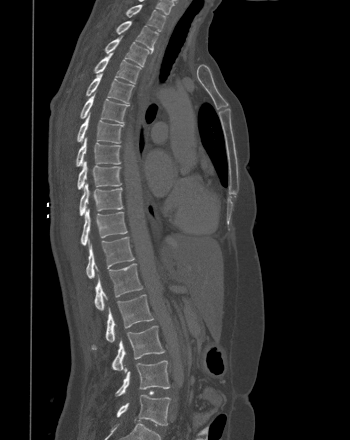
CT, spine; image width 350 mm; sagittal view
Box values are [left, top, right, bottom] in pixels.
{"vertebrae":{"L5":[116,395,170,425],"L4":[116,360,169,396],"L3":[112,326,164,370],"L2":[91,294,153,349],"L1":[94,263,142,310],"T12":[86,237,134,278],"T11":[80,208,127,245],"T10":[79,182,123,216],"T9":[77,160,121,189],"T8":[76,137,120,166],"T7":[77,113,123,143],"T6":[80,93,128,123],"T5":[86,73,134,103],"T4":[94,53,141,83],"T3":[105,36,151,66],"T2":[116,21,158,50],"T1":[126,5,165,31]}}